CT — sagittal plane, index 322 — Bone window (WL 400, WW 1800) — 12 vertebrae labeled in this scan
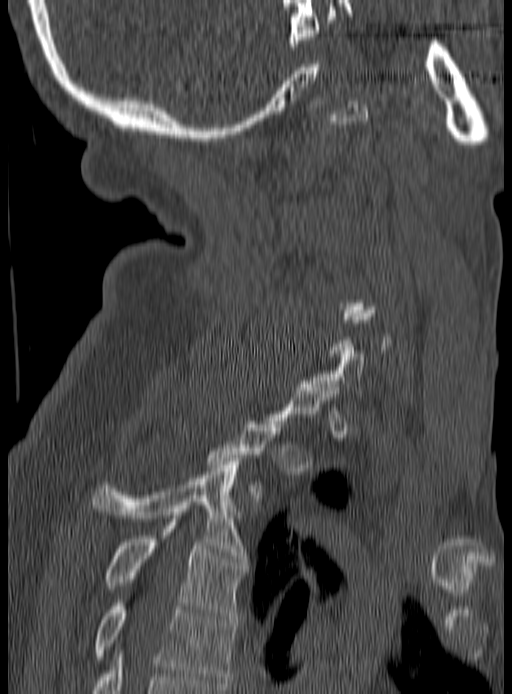
Not every vertebra on this slice has a box: a vertebra is boxed only from the first to the last slice where its cross-section is at least a third of its largest, and this slice is outside that range for at least one of them.
<vertebrae><v name="T3" x1="92" y1="458" x2="245" y2="558"/><v name="T4" x1="106" y1="522" x2="245" y2="619"/><v name="T5" x1="95" y1="603" x2="237" y2="686"/></vertebrae>